CT spine · sagittal reformat · image 445 mm wide · 512x511 px · 8 vertebrae labeled in this scan
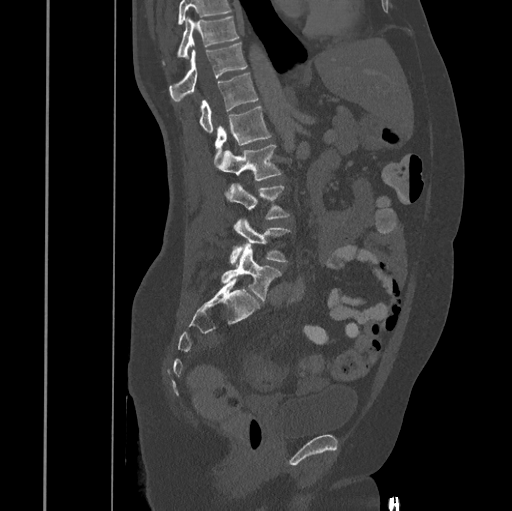

Box edges are left/top/right/bottom in pixels.
Where the top of the scan cuts through a vertebra, that vertebra gets no label or box.
Vertebra bounding boxes:
- T10: left=177, top=16, right=238, bottom=57
- T11: left=169, top=42, right=246, bottom=102
- T12: left=199, top=72, right=258, bottom=133
- L1: left=215, top=106, right=270, bottom=162
- L2: left=217, top=144, right=282, bottom=180
- L3: left=227, top=182, right=290, bottom=219
- L4: left=230, top=218, right=290, bottom=266
- L5: left=221, top=243, right=281, bottom=300